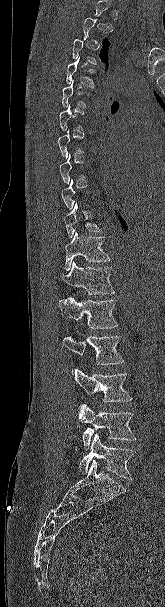

Spine CT — sagittal reformat. In the table, x1 and y1 are a box's top-left corner and x2 and y2 its bottom-right corner, in pixels.
A vertebra is boxed only from the first to the last slice where its cross-section is at least a third of its largest; slices outside that range leave it without a box.
| vertebra | x1 | y1 | x2 | y2 |
|---|---|---|---|---|
| T4 | 66 | 57 | 95 | 88 |
| T5 | 61 | 80 | 90 | 108 |
| T10 | 63 | 201 | 101 | 238 |
| T11 | 64 | 231 | 110 | 271 |
| T12 | 60 | 261 | 115 | 294 |
| L1 | 58 | 297 | 118 | 328 |
| L2 | 63 | 334 | 124 | 372 |
| L3 | 75 | 369 | 132 | 402 |
| L4 | 77 | 403 | 136 | 449 |
| L5 | 79 | 433 | 134 | 479 |